Computed tomography of the spine; sagittal reformat; 198x198 px; the image spans 198 mm across; scan covers 5 annotated vertebrae
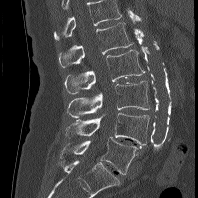 Boxes below are [x1, y1, x2, y2] in pixels.
This scan's labels start at L1 at the top and end at L5 at the bottom.
{"vertebrae":{"L5":[60,137,138,174],"L4":[66,112,149,145],"L3":[67,81,150,118],"L2":[64,50,145,94],"L1":[58,22,133,67]}}